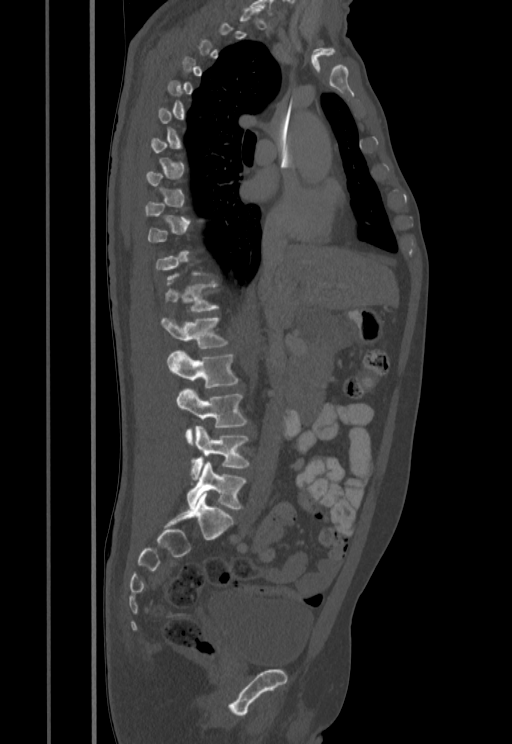
CT spine; sagittal view; 512x744 px. Boxes: x1:y1:x2:y2 in pixels. Each vertebra is boxed only on the slices from the first to the last where its cross-section reaches a third of its largest, so a slice outside that range leaves it unboxed. The labeled vertebrae in this slice are: T12 at 165:281:217:311, L1 at 161:318:227:348, L2 at 166:350:239:387, L3 at 177:388:246:443, L4 at 190:426:249:480, L5 at 187:461:245:510.